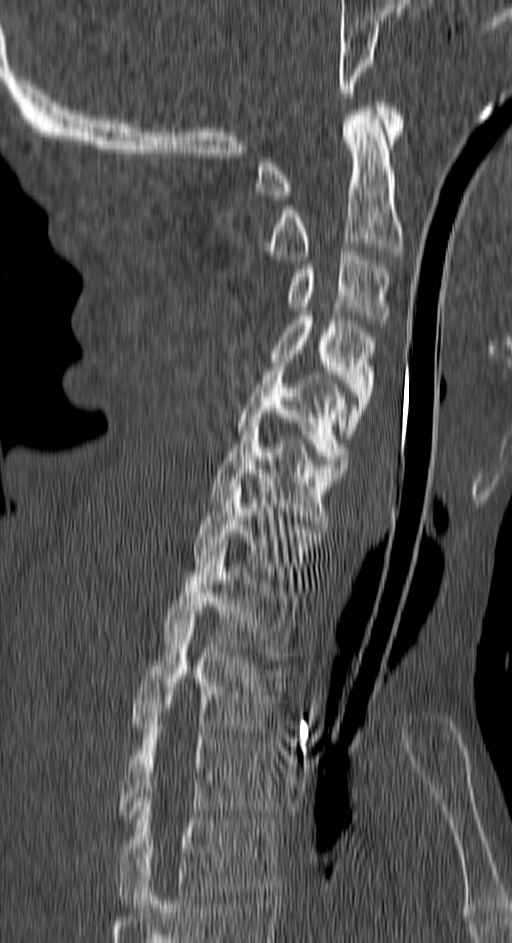
Computed tomography of the spine — sagittal view
Bounding boxes as [x1, y1, x2, y2] in pixel coordinates.
T4: [117, 798, 277, 908]
T3: [117, 721, 277, 822]
T2: [131, 619, 285, 733]
T1: [162, 550, 299, 660]
C7: [192, 478, 321, 588]
C6: [209, 418, 345, 528]
C5: [236, 367, 348, 468]
C4: [271, 316, 376, 438]
C3: [288, 247, 389, 328]
C2: [264, 107, 403, 259]
C1: [257, 102, 403, 200]